CT spine; sagittal plane, index 45; image width 206 mm; Bone window (WL 400, WW 1800); 392x1568 px; part of the image is a flat gray fill, not anatomy
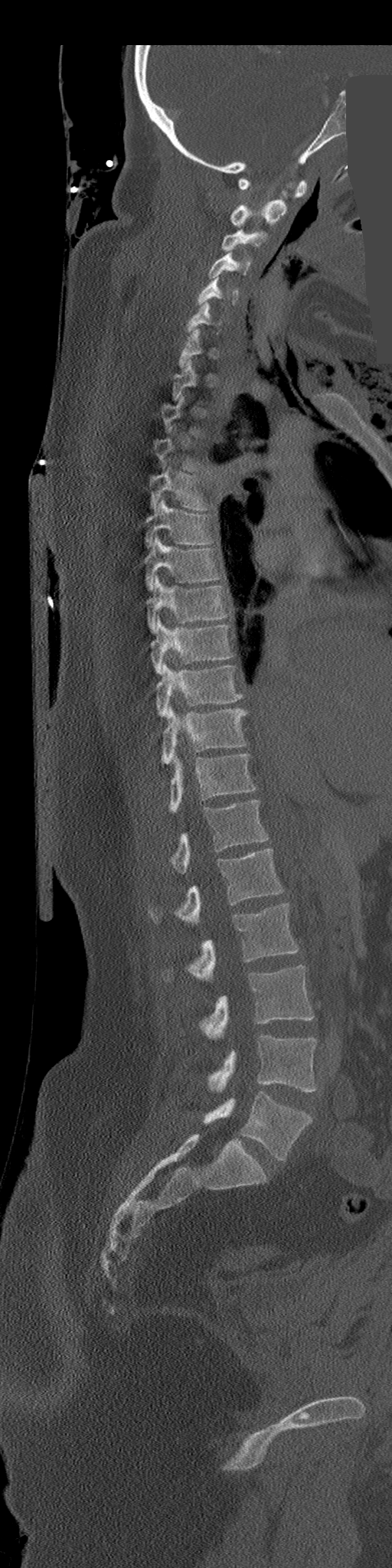

Box values are [left, top, right, bottom] in pixels.
Not every vertebra on this slice has a box: a vertebra is boxed only from the first to the last slice where its cross-section is at least a third of its largest, and this slice is outside that range for at least one of them.
{"vertebrae":{"C1":[238,178,308,198],"C2":[230,189,287,227],"C3":[221,229,266,251],"C4":[208,252,251,279],"C5":[197,276,237,304],"C6":[187,301,220,331],"T4":[149,471,211,510],"T5":[145,498,215,548],"T6":[145,536,223,590],"T7":[147,575,230,633],"T8":[151,616,232,672],"T9":[157,665,243,717],"T10":[162,707,247,765],"T11":[168,754,255,812],"T12":[170,800,268,874],"L1":[149,849,283,925],"L2":[162,903,299,982],"L3":[201,965,314,1039],"L4":[208,1036,318,1092],"L5":[204,1091,312,1161]}}